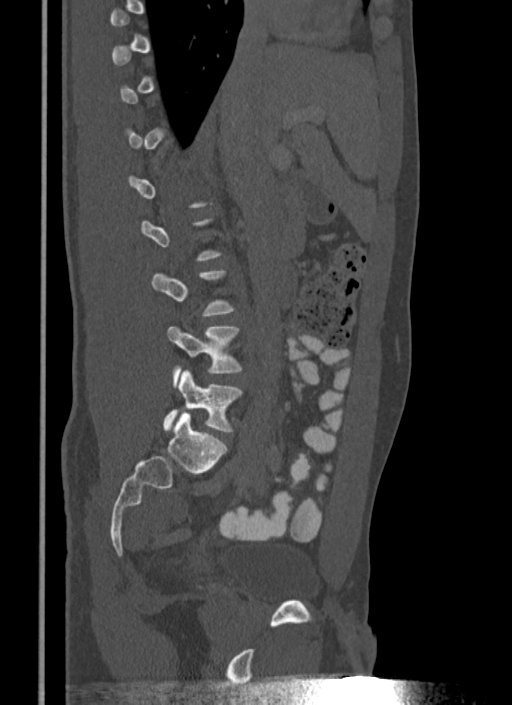
CT, spine. sagittal reformat. bone window

Each box given as x1,y1,x2,y2.
A vertebra is boxed only from the first to the last slice where its cross-section is at least a third of its largest; slices outside that range leave it without a box.
Vertebra bounding boxes:
- L5: x1=164, y1=369, x2=243, y2=433
- L4: x1=167, y1=325, x2=243, y2=386